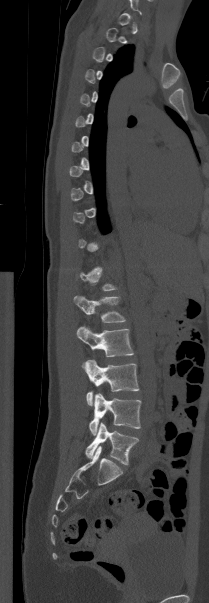

Spine CT — sagittal view — Bone window (WL 400, WW 1800) — 209x603 px
Boxes: x1:y1:x2:y2 in pixels.
Not every vertebra on this slice has a box: a vertebra is boxed only from the first to the last slice where its cross-section is at least a third of its largest, and this slice is outside that range for at least one of them.
Vertebra bounding boxes:
- L1: 74:295:125:322
- L2: 76:326:133:356
- L3: 83:359:139:405
- L4: 89:393:141:435
- L5: 85:422:138:465